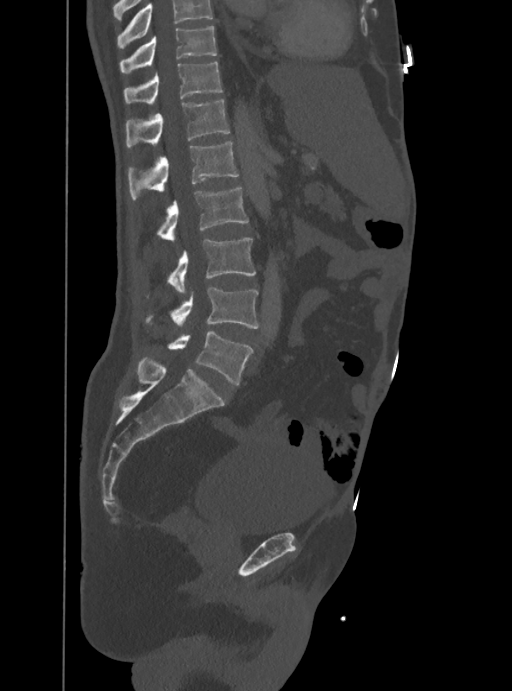 Spine computed tomography. sagittal view. bone-window reconstruction. 512x691 px
Box values are [left, top, right, bottom] in pixels.
A vertebra cut off by the top edge of the scan is not labeled and has no box.
{"vertebrae":{"T10":[120,26,217,73],"T11":[124,62,222,104],"T12":[125,99,230,147],"L1":[128,141,238,200],"L2":[156,188,248,240],"L3":[166,238,255,292],"L4":[145,287,260,329],"L5":[167,331,251,384]}}